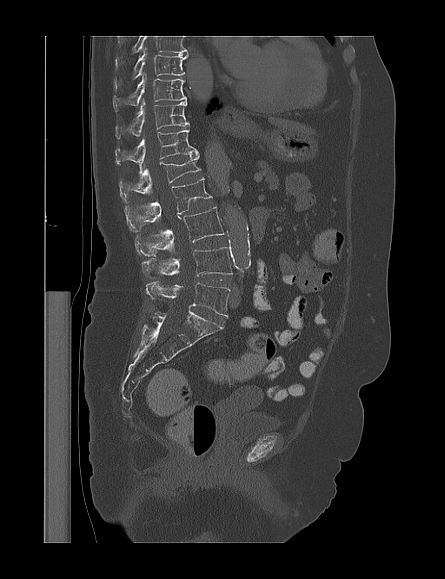

Spine CT; sagittal view; Bone window (WL 400, WW 1800); 445x579 px
This scan's labels start at T9 at the top and end at L5 at the bottom.
<vertebrae><v name="T9" x1="114" y1="48" x2="186" y2="89"/><v name="T10" x1="113" y1="73" x2="186" y2="111"/><v name="T11" x1="115" y1="99" x2="189" y2="139"/><v name="T12" x1="115" y1="130" x2="198" y2="170"/><v name="L1" x1="119" y1="154" x2="201" y2="202"/><v name="L2" x1="126" y1="177" x2="211" y2="231"/><v name="L3" x1="135" y1="206" x2="224" y2="256"/><v name="L4" x1="141" y1="247" x2="232" y2="278"/><v name="L5" x1="145" y1="281" x2="230" y2="317"/></vertebrae>